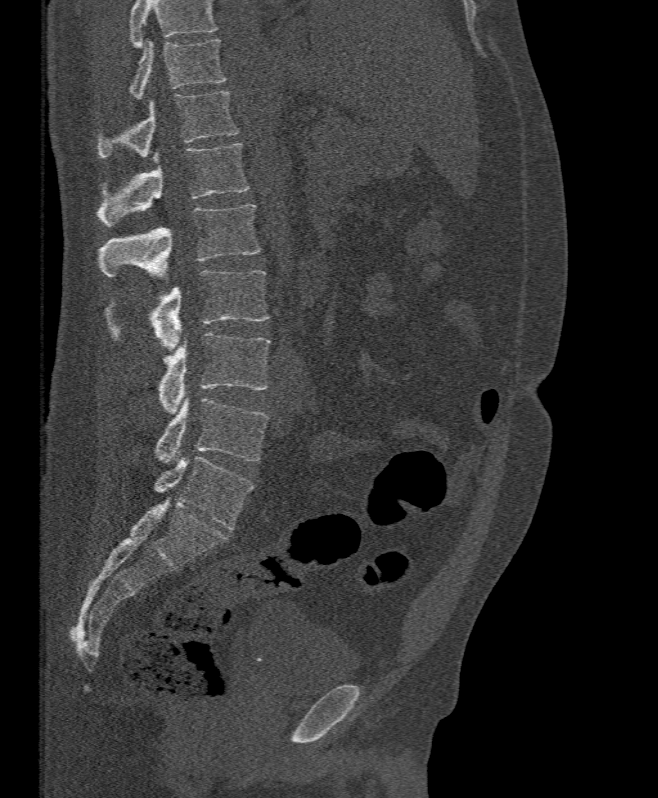 Spine computed tomography — sagittal view — bone window — the image is 395 mm wide
A vertebra cut off by the top edge of the scan is not labeled and has no box.
<vertebrae><v name="T11" x1="130" y1="38" x2="225" y2="99"/><v name="T12" x1="96" y1="92" x2="239" y2="157"/><v name="L1" x1="96" y1="143" x2="248" y2="226"/><v name="L2" x1="98" y1="203" x2="260" y2="277"/><v name="L3" x1="105" y1="270" x2="269" y2="349"/><v name="L4" x1="158" y1="333" x2="270" y2="414"/><v name="L5" x1="154" y1="397" x2="269" y2="466"/></vertebrae>